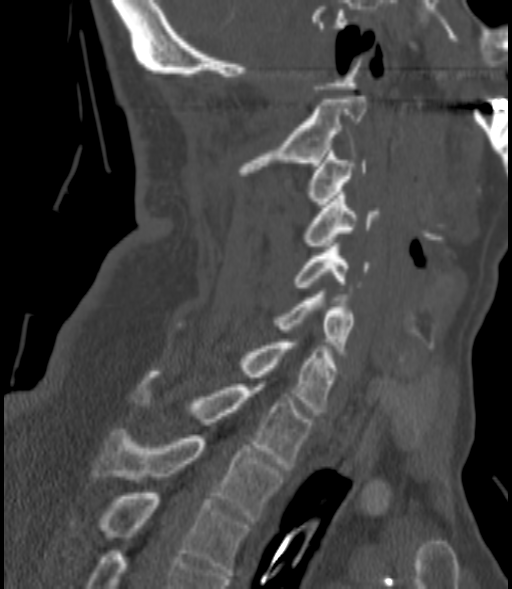 Computed tomography of the spine; sagittal view; Bone window (WL 400, WW 1800)
Each vertebra maps to its box as [x1, y1, x2, y2], the pixel coordinates of its top-left and bottom-right corners.
{"vertebrae":{"C2":[239,96,366,175],"C3":[305,147,366,207],"C4":[303,192,379,249],"C5":[293,246,369,287],"C6":[275,291,353,354],"C7":[177,323,338,415],"T1":[134,371,312,469],"T2":[93,429,284,521],"T3":[101,493,248,575]}}